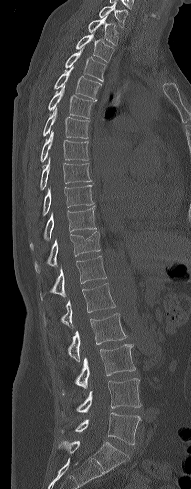
Spine CT. sagittal view. bone-window reconstruction
<vertebrae><v name="C7" x1="99" y1="2" x2="127" y2="27"/><v name="T1" x1="88" y1="15" x2="118" y2="45"/><v name="T2" x1="76" y1="31" x2="114" y2="62"/><v name="T3" x1="65" y1="46" x2="106" y2="80"/><v name="T4" x1="54" y1="66" x2="101" y2="100"/><v name="T5" x1="48" y1="85" x2="95" y2="118"/><v name="T6" x1="43" y1="108" x2="89" y2="138"/><v name="T7" x1="40" y1="130" x2="89" y2="161"/><v name="T8" x1="40" y1="158" x2="91" y2="189"/><v name="T9" x1="43" y1="185" x2="93" y2="214"/><v name="T10" x1="30" y1="207" x2="96" y2="247"/><v name="T11" x1="35" y1="230" x2="100" y2="271"/><v name="T12" x1="40" y1="256" x2="106" y2="300"/><v name="L1" x1="45" y1="283" x2="115" y2="326"/><v name="L2" x1="68" y1="313" x2="126" y2="363"/><v name="L3" x1="61" y1="344" x2="135" y2="394"/><v name="L4" x1="76" y1="378" x2="141" y2="412"/><v name="L5" x1="62" y1="412" x2="140" y2="444"/></vertebrae>